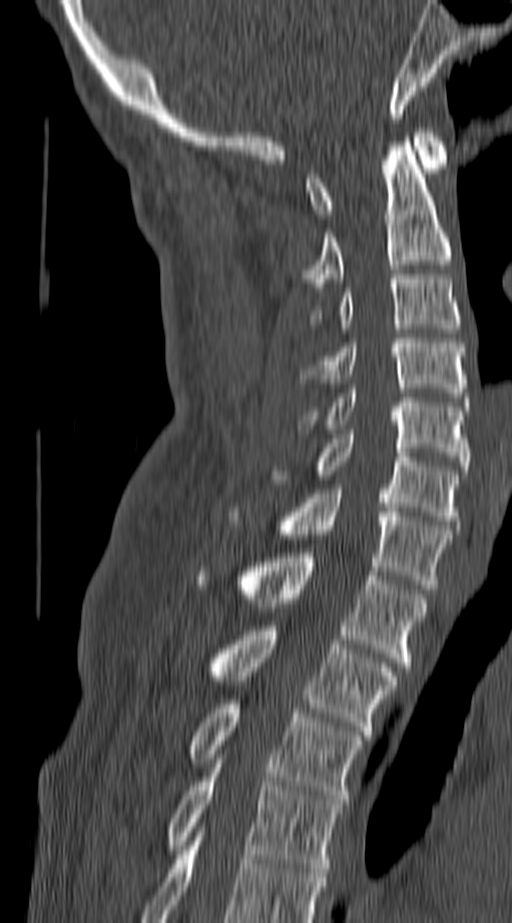

Spine CT · image width 140 mm · sagittal view · 512x923 px

Box edges are left/top/right/bottom in pixels.
In this scan, the topmost labeled vertebra is C1 and the lowest is T4.
C1: left=305, top=128, right=447, bottom=218
C2: left=303, top=142, right=450, bottom=287
C3: left=312, top=274, right=461, bottom=328
C4: left=305, top=338, right=465, bottom=397
C5: left=298, top=389, right=468, bottom=470
C6: left=272, top=434, right=457, bottom=525
C7: left=228, top=489, right=450, bottom=589
T1: left=195, top=553, right=425, bottom=671
T2: left=206, top=626, right=395, bottom=735
T3: left=188, top=699, right=362, bottom=804
T4: left=166, top=763, right=340, bottom=872